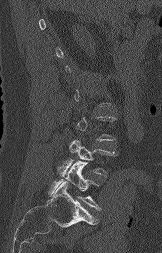
CT spine; sagittal view; image width 162 mm
Boxes: x1:y1:x2:y2 in pixels.
Each vertebra is boxed only on the slices from the first to the last where its cross-section reaches a third of its largest, so a slice outside that range leaves it unboxed.
L4: 57:140:114:177
L5: 50:161:100:210